Computed tomography of the spine; the image spans 216 mm across; sagittal view; 19 vertebrae labeled in this scan
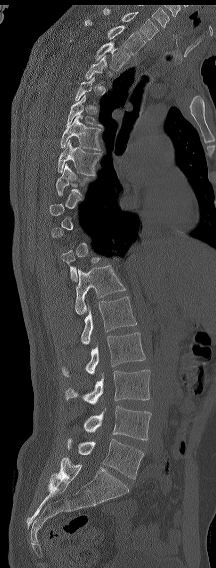
In the table, x1 and y1 are a box's top-left corner and x2 and y2 its bottom-right corner, in pixels.
A vertebra is boxed only from the first to the last slice where its cross-section is at least a third of its largest; slices outside that range leave it without a box.
These labels give the spine a sixth lumbar vertebra, L6, below L5.
| vertebra | x1 | y1 | x2 | y2 |
|---|---|---|---|---|
| L6 | 67 | 438 | 144 | 479 |
| L5 | 83 | 406 | 151 | 440 |
| L4 | 65 | 370 | 150 | 404 |
| L3 | 62 | 332 | 145 | 377 |
| L2 | 81 | 296 | 137 | 344 |
| L1 | 75 | 265 | 125 | 314 |
| T8 | 55 | 164 | 88 | 196 |
| T7 | 58 | 140 | 101 | 175 |
| T6 | 60 | 115 | 101 | 150 |
| T5 | 66 | 95 | 102 | 127 |
| T2 | 95 | 40 | 130 | 71 |
| T1 | 85 | 19 | 146 | 54 |
| C7 | 103 | 8 | 158 | 39 |